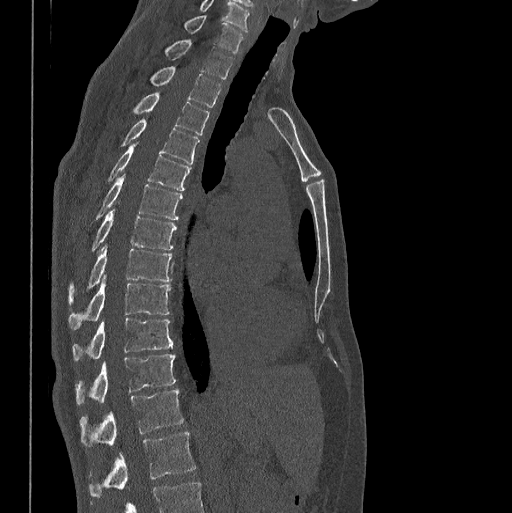

CT spine; sagittal reformat; Bone window (WL 400, WW 1800); 512x513 px

Boxes below are [x1, y1, x2, y2] in pixels.
In this scan, the topmost labeled vertebra is C7 and the lowest is L1.
{"vertebrae":{"L1":[89,432,196,497],"T12":[80,389,183,446],"T11":[76,354,175,404],"T10":[72,318,173,360],"T9":[68,277,170,329],"T8":[68,244,171,302],"T7":[91,210,176,250],"T6":[95,175,182,220],"T5":[108,144,189,190],"T4":[121,119,198,165],"T3":[134,93,209,134],"T2":[150,66,220,107],"T1":[165,39,232,79],"C7":[184,15,242,52]}}